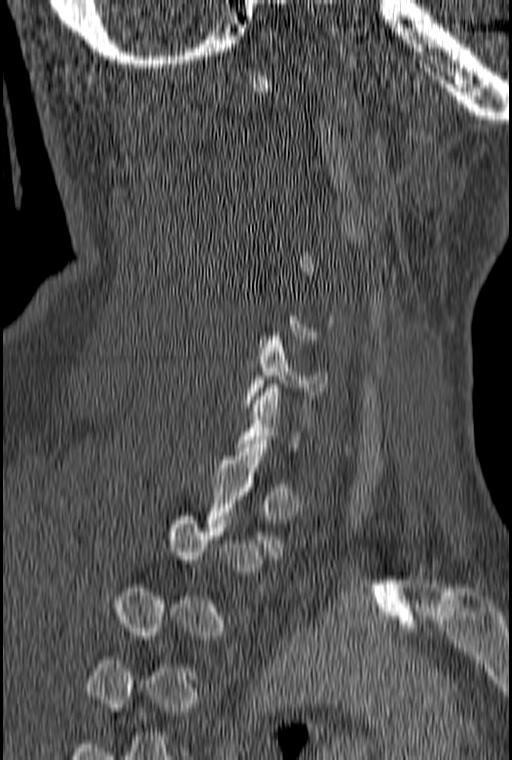

Computed tomography of the spine — sagittal view

Boxes: x1 y1 x2 y2 (pixel coords, space-separated). Not every vertebra on this slice has a box: a vertebra is boxed only from the first to the last slice where its cross-section is at least a third of its largest, and this slice is outside that range for at least one of them. The labeled vertebrae in this slice are: C6 at 245 332 330 407, T1 at 203 444 284 555.